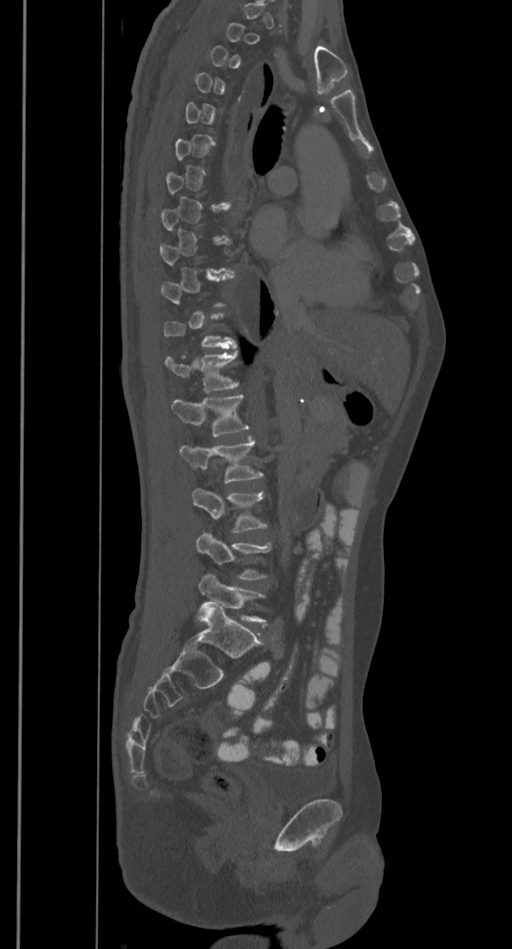
CT spine; sagittal view; 512x949 px

Each box given as x1,y1,x2,y2.
Each vertebra is boxed only on the slices from the first to the last where its cross-section reaches a third of its largest, so a slice outside that range leaves it unboxed.
L5: x1=198, y1=573, x2=266, y2=621
L4: x1=195, y1=531, x2=270, y2=579
L3: x1=191, y1=487, x2=267, y2=532
L2: x1=179, y1=438, x2=263, y2=483
L1: x1=171, y1=395, x2=250, y2=436
T12: x1=165, y1=351, x2=238, y2=390